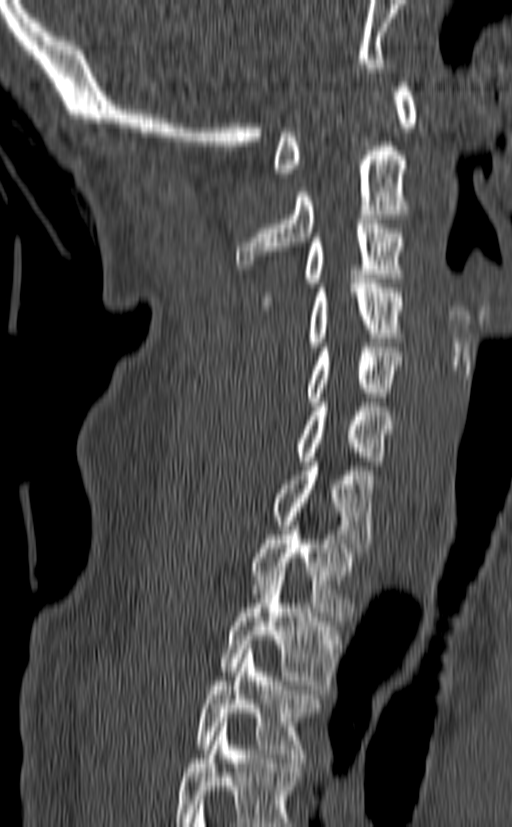
Spine computed tomography — sagittal reformat — Bone window (WL 400, WW 1800) — 140 mm across the image. Each row gives a vertebra's box as x1, y1, x2, y2 in pixels: top-left corner, then bottom-right corner.
In this scan, the topmost labeled vertebra is C1 and the lowest is T3.
| vertebra | x1 | y1 | x2 | y2 |
|---|---|---|---|---|
| T3 | 195 | 645 | 319 | 762 |
| T2 | 220 | 571 | 340 | 689 |
| T1 | 250 | 521 | 360 | 616 |
| C7 | 272 | 457 | 374 | 552 |
| C6 | 296 | 398 | 392 | 465 |
| C5 | 305 | 343 | 403 | 406 |
| C4 | 309 | 279 | 403 | 346 |
| C3 | 261 | 219 | 404 | 310 |
| C2 | 236 | 146 | 408 | 269 |
| C1 | 274 | 82 | 417 | 177 |